CT spine — sagittal reformat — 18 vertebrae labeled in this scan
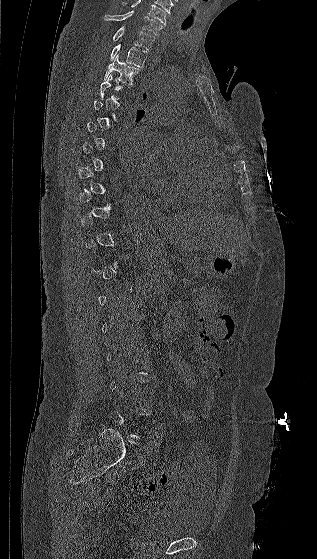
Box values are [left, top, right, bottom] in pixels.
A vertebra gets a box only on the slices from the first to the last where its cross-section is at least a third of its largest; on a slice outside that range it gets none.
Labels in this scan begin with C7 at the top and end with L5 at the bottom.
{"vertebrae":{"C7":[104,10,163,35],"T1":[113,26,154,49],"T2":[110,44,148,67],"T3":[103,55,141,84]}}